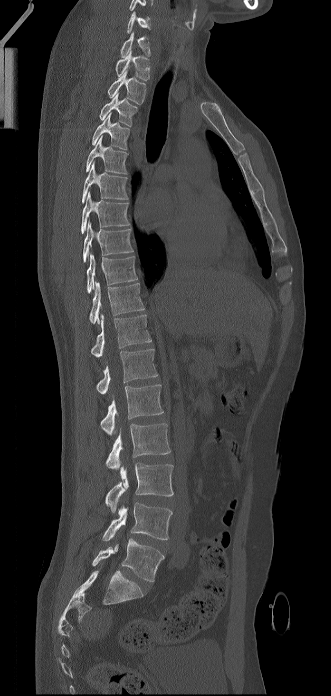 CT, spine · sagittal view · 331x696 px · 331 mm wide
Bounding boxes as [x1, y1, x2, y2] in pixel coordinates.
In this scan, the topmost labeled vertebra is C6 and the lowest is L5.
L5: [92, 538, 164, 582]
L4: [102, 502, 172, 540]
L3: [105, 463, 173, 512]
L2: [106, 423, 170, 469]
L1: [100, 384, 163, 434]
T12: [96, 348, 157, 394]
T11: [91, 315, 151, 357]
T10: [89, 281, 144, 323]
T9: [86, 253, 137, 293]
T8: [83, 221, 133, 262]
T7: [81, 191, 129, 233]
T6: [82, 161, 128, 203]
T5: [86, 136, 128, 174]
T4: [92, 113, 129, 149]
T3: [99, 93, 137, 126]
T2: [108, 70, 146, 104]
T1: [115, 50, 149, 80]
C7: [120, 32, 150, 57]
C6: [126, 12, 150, 33]